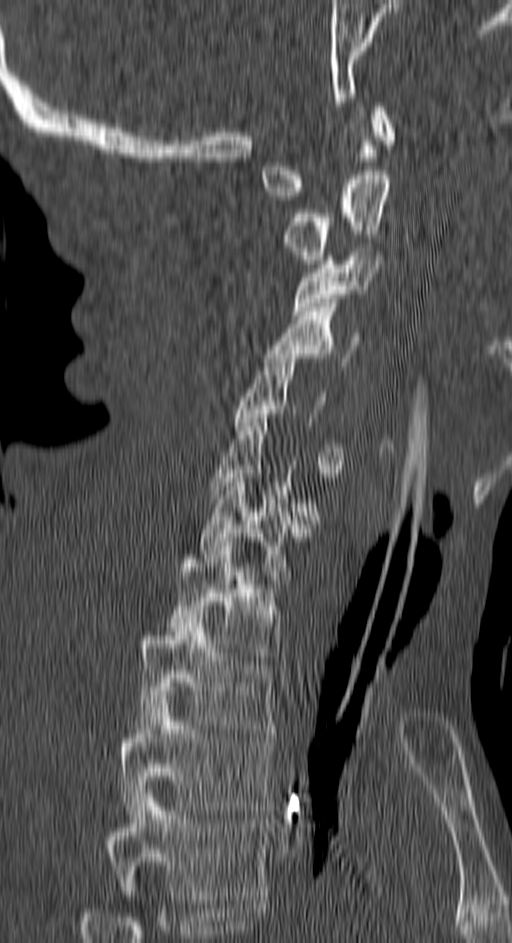
Spine computed tomography — sagittal view

A vertebra is boxed only from the first to the last slice where its cross-section is at least a third of its largest; slices outside that range leave it without a box.
In this scan, the topmost labeled vertebra is C1 and the lowest is T4.
<vertebrae><v name="T4" x1="107" y1="789" x2="266" y2="899"/><v name="T3" x1="121" y1="691" x2="273" y2="814"/><v name="T2" x1="137" y1="614" x2="276" y2="733"/><v name="T1" x1="168" y1="542" x2="280" y2="660"/><v name="C7" x1="199" y1="474" x2="311" y2="588"/><v name="C5" x1="235" y1="354" x2="345" y2="473"/><v name="C4" x1="266" y1="303" x2="362" y2="366"/><v name="C3" x1="292" y1="247" x2="379" y2="319"/><v name="C2" x1="285" y1="166" x2="389" y2="264"/><v name="C1" x1="261" y1="102" x2="393" y2="200"/></vertebrae>